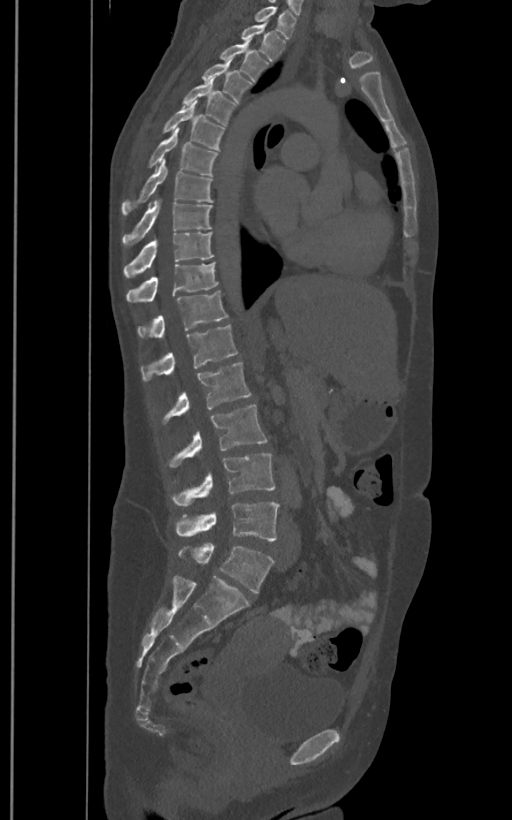
Computed tomography of the spine — sagittal view — Bone window (WL 400, WW 1800) — 512x820 px — the image is 400 mm wide
In these labels the spine has an L6, a sixth lumbar vertebra below L5.
<vertebrae><v name="T1" x1="255" y1="6" x2="296" y2="38"/><v name="T2" x1="240" y1="23" x2="284" y2="60"/><v name="T3" x1="219" y1="40" x2="268" y2="82"/><v name="T4" x1="201" y1="58" x2="252" y2="103"/><v name="T5" x1="182" y1="77" x2="236" y2="126"/><v name="T6" x1="162" y1="100" x2="224" y2="150"/><v name="T7" x1="148" y1="128" x2="218" y2="175"/><v name="T8" x1="121" y1="159" x2="213" y2="216"/><v name="T9" x1="121" y1="199" x2="213" y2="247"/><v name="T10" x1="123" y1="232" x2="214" y2="277"/><v name="T11" x1="127" y1="263" x2="218" y2="302"/><v name="T12" x1="138" y1="290" x2="228" y2="338"/><v name="L1" x1="141" y1="325" x2="238" y2="381"/><v name="L2" x1="162" y1="362" x2="251" y2="423"/><v name="L3" x1="169" y1="404" x2="268" y2="468"/><v name="L4" x1="171" y1="453" x2="275" y2="506"/><v name="L5" x1="175" y1="501" x2="279" y2="540"/><v name="L6" x1="178" y1="543" x2="274" y2="592"/></vertebrae>